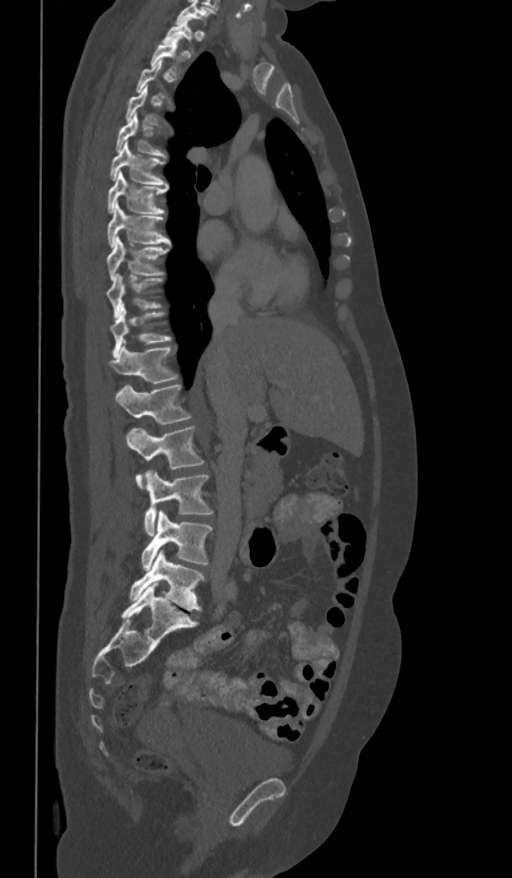
CT spine; sagittal reformat
Each box is [x1, y1, x2, y2] in pixels: top-left corner, then bottom-right corner.
This scan's labels start at T1 at the top and end at L5 at the bottom.
{"vertebrae":{"L5":[129,550,204,610],"L4":[142,511,213,570],"L3":[144,470,213,535],"L2":[126,426,204,489],"L1":[115,384,192,425],"T12":[109,345,179,383],"T11":[110,305,172,356],"T10":[106,273,163,317],"T9":[106,236,169,280],"T8":[106,202,170,247],"T7":[106,172,168,213],"T6":[109,140,168,188],"T5":[116,114,166,157],"T4":[125,86,160,125],"T3":[136,60,172,102],"T2":[150,36,185,77],"T1":[161,19,196,54]}}